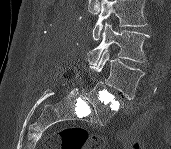

CT, spine. sagittal reformat. Bone window (WL 400, WW 1800). 171x149 px
Boxes are (x1, y1, x2, y2) in pixels. No box is given to a vertebra that the top edge of the scan cuts off. The labeled vertebrae in this slice are: L3 at (87, 22, 149, 65), L4 at (89, 49, 145, 100), L5 at (85, 81, 123, 125).